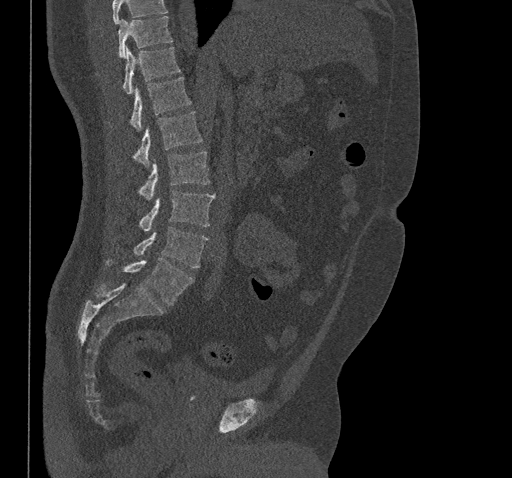

Spine computed tomography; sagittal reformat; bone window
Boxes: x1 y1 x2 y2 (pixel coords, space-separated).
No box is given to a vertebra that the top edge of the scan cuts off.
Vertebra bounding boxes:
- T10: 118 16 172 57
- T11: 123 47 180 94
- T12: 130 77 191 130
- L1: 133 111 202 166
- L2: 139 151 209 199
- L3: 140 190 215 230
- L4: 133 227 208 267
- L5: 107 258 193 305